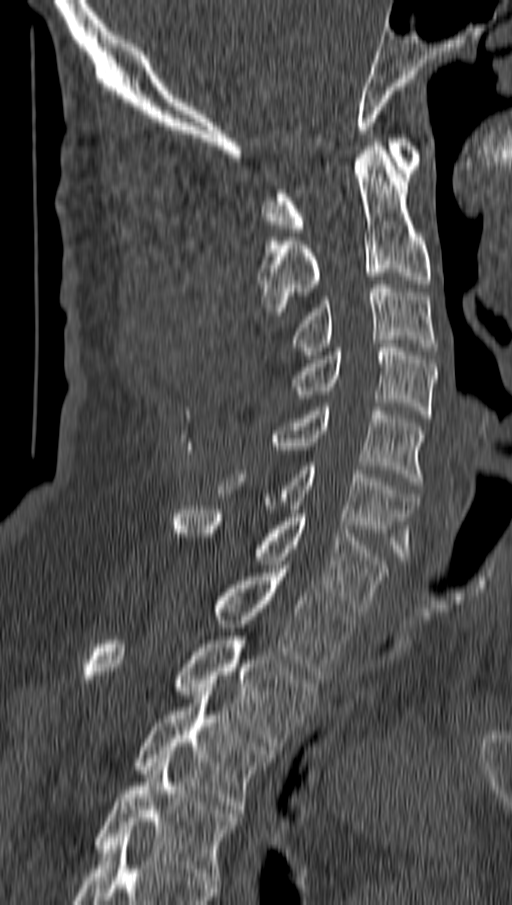
Spine computed tomography — image 162 mm wide — sagittal view
Columns x1, y1, x2, y2 give each box's top-left and bottom-right pixels.
| vertebra | x1 | y1 | x2 | y2 |
|---|---|---|---|---|
| C1 | 263 | 138 | 421 | 232 |
| C2 | 257 | 138 | 430 | 315 |
| C3 | 292 | 284 | 437 | 359 |
| C4 | 292 | 344 | 436 | 418 |
| C5 | 270 | 403 | 424 | 485 |
| C6 | 217 | 466 | 417 | 560 |
| C7 | 175 | 506 | 389 | 611 |
| T1 | 216 | 565 | 354 | 679 |
| T2 | 83 | 632 | 316 | 750 |
| T3 | 137 | 691 | 272 | 813 |
| T4 | 96 | 759 | 237 | 880 |